Spine CT — Sagittal slice 79/174 — W/L 1800/400 HU — 346x705 px — 19 vertebrae labeled in this scan
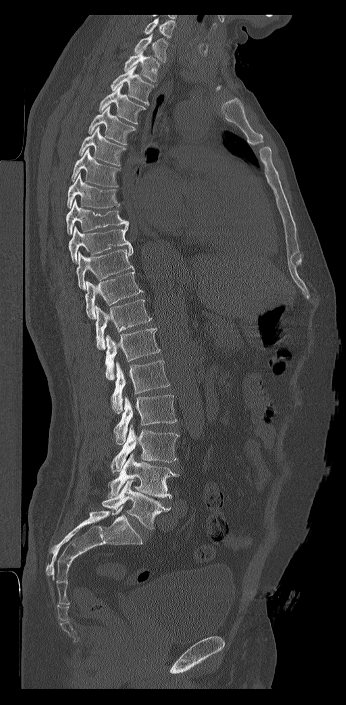
Each box given as x1,y1,x2,y2.
In this scan, the topmost labeled vertebra is C7 and the lowest is L6.
The labels name a sixth lumbar vertebra for this spine: L6, after L5.
| vertebra | x1 | y1 | x2 | y2 |
|---|---|---|---|---|
| L6 | 101 | 480 | 170 | 529 |
| L5 | 108 | 453 | 178 | 498 |
| L4 | 110 | 424 | 179 | 473 |
| L3 | 113 | 395 | 177 | 444 |
| L2 | 110 | 360 | 170 | 413 |
| L1 | 105 | 328 | 160 | 380 |
| T12 | 95 | 299 | 152 | 349 |
| T11 | 85 | 270 | 143 | 319 |
| T10 | 76 | 246 | 134 | 290 |
| T9 | 68 | 226 | 131 | 264 |
| T8 | 66 | 199 | 128 | 235 |
| T7 | 67 | 173 | 120 | 208 |
| T6 | 71 | 148 | 120 | 187 |
| T5 | 78 | 126 | 126 | 166 |
| T4 | 88 | 105 | 136 | 145 |
| T3 | 99 | 85 | 146 | 124 |
| T2 | 110 | 64 | 154 | 105 |
| T1 | 123 | 49 | 159 | 81 |
| C7 | 133 | 34 | 168 | 62 |